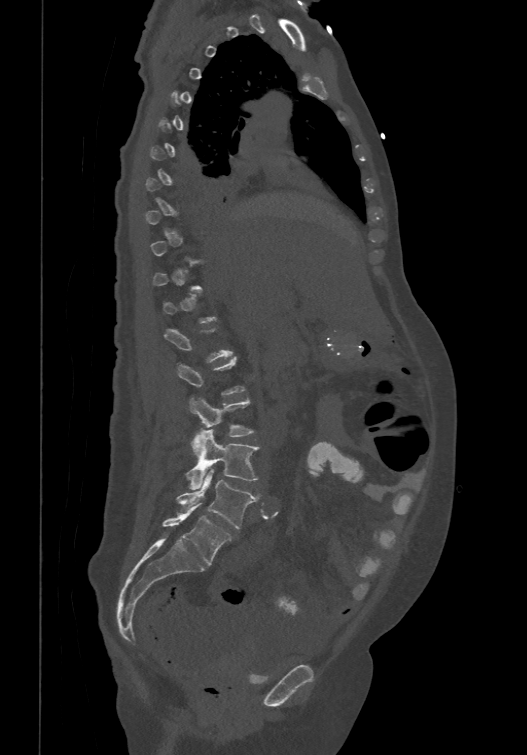

Spine computed tomography · sagittal reformat · 527x755 px

Boxes below are [x1, y1, x2, y2] in pixels.
Not every vertebra on this slice has a box: a vertebra is boxed only from the first to the last slice where its cross-section is at least a third of its largest, and this slice is outside that range for at least one of them.
In these labels the spine has an L6, a sixth lumbar vertebra below L5.
{"vertebrae":{"L3":[189,396,254,455],"L4":[185,429,259,490],"L5":[177,471,258,528],"L6":[161,503,231,564]}}